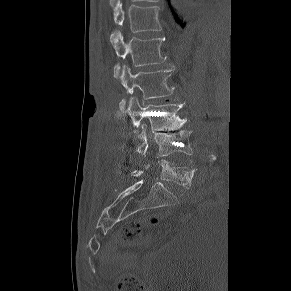
CT, spine; sagittal view
Box edges are left/top/right/bottom in pixels. Vertebrae labeled: T12 at left=111, top=3, right=161, bottom=37, L1 at left=110, top=31, right=165, bottom=79, L2 at left=119, top=65, right=174, bottom=111, L3 at left=125, top=97, right=186, bottom=131, L4 at left=137, top=124, right=192, bottom=161, L5 at left=131, top=160, right=196, bottom=188.